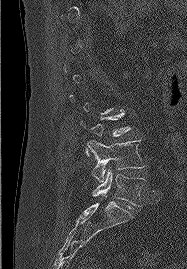
Spine CT; 187 mm image width; sagittal view. Boxes are given in columns x1, y1, x2, y2, the pixel coordinates of their top-left and bottom-right corners.
Not every vertebra on this slice has a box: a vertebra is boxed only from the first to the last slice where its cross-section is at least a third of its largest, and this slice is outside that range for at least one of them.
| vertebra | x1 | y1 | x2 | y2 |
|---|---|---|---|---|
| L4 | 87 | 140 | 144 | 182 |
| L5 | 92 | 168 | 144 | 208 |